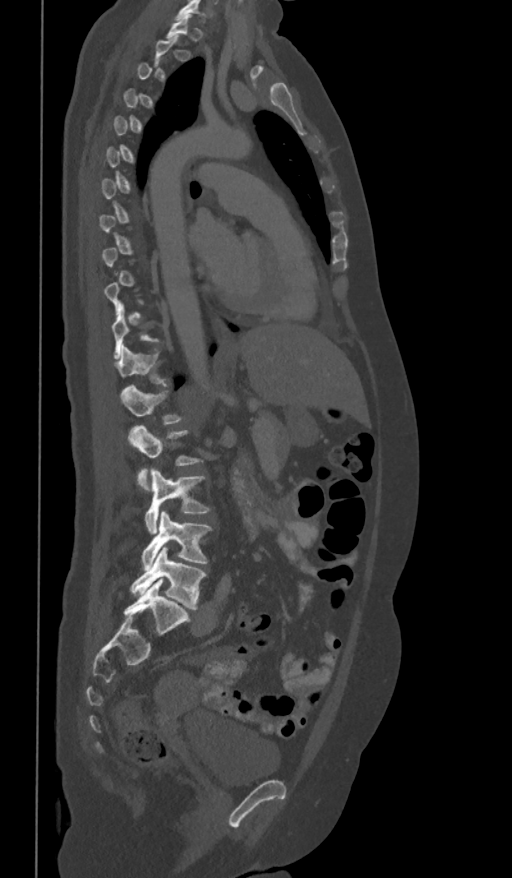
Spine CT. sagittal view. 512x878 px

A vertebra is boxed only from the first to the last slice where its cross-section is at least a third of its largest; slices outside that range leave it without a box.
<vertebrae><v name="L5" x1="130" y1="546" x2="206" y2="609"/><v name="L4" x1="142" y1="511" x2="212" y2="570"/><v name="L3" x1="144" y1="468" x2="210" y2="533"/><v name="L2" x1="129" y1="425" x2="203" y2="490"/><v name="L1" x1="120" y1="384" x2="183" y2="424"/><v name="T12" x1="115" y1="343" x2="165" y2="383"/></vertebrae>